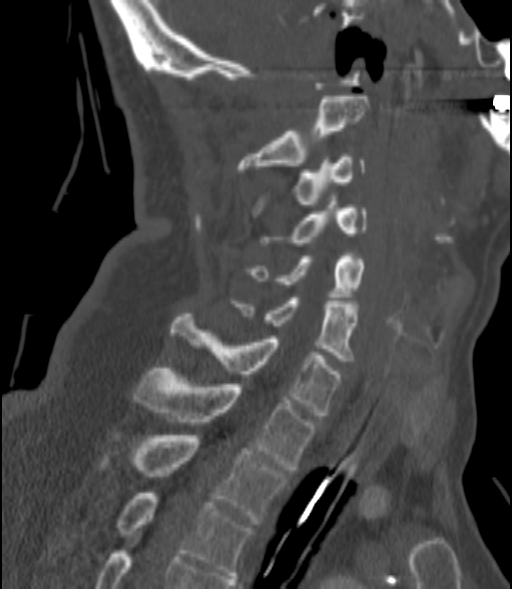

CT, spine; sagittal reformat; W/L 1800/400 HU. Boxes: x1:y1:x2:y2 in pixels.
Vertebra bounding boxes:
- C2: 237:96:368:172
- C3: 252:154:364:213
- C4: 262:202:366:245
- C5: 247:253:366:300
- C6: 234:298:356:364
- C7: 172:314:340:415
- T1: 134:368:315:469
- T2: 101:435:287:524
- T3: 119:493:251:578